Computed tomography of the spine; 186 mm across the image; sagittal view
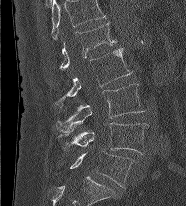
Each box given as x1,y1,x2,y2.
Labels in this scan begin with L1 at the top and end with L5 at the bottom.
| vertebra | x1 | y1 | x2 | y2 |
|---|---|---|---|---|
| L1 | 60 | 22 | 116 | 68 |
| L2 | 55 | 48 | 132 | 107 |
| L3 | 55 | 84 | 144 | 131 |
| L4 | 59 | 122 | 149 | 154 |
| L5 | 70 | 150 | 134 | 187 |